CT, spine · sagittal plane, index 244 · 512x843 px
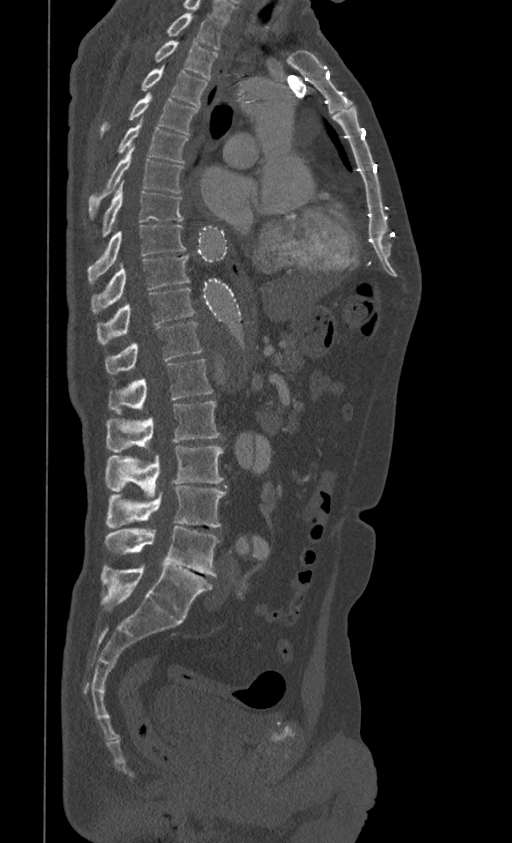 Box edges are left/top/right/bottom in pixels.
This scan's labels start at T1 at the top and end at L5 at the bottom.
Vertebra bounding boxes:
- T1: left=166, top=13, right=225, bottom=49
- T2: left=154, top=40, right=218, bottom=79
- T3: left=141, top=67, right=207, bottom=106
- T4: left=100, top=92, right=198, bottom=136
- T5: left=118, top=122, right=187, bottom=163
- T6: left=88, top=147, right=182, bottom=218
- T7: left=100, top=184, right=184, bottom=237
- T8: left=87, top=224, right=185, bottom=284
- T9: left=91, top=255, right=190, bottom=313
- T10: left=96, top=288, right=195, bottom=344
- T11: left=105, top=322, right=202, bottom=373
- T12: left=108, top=359, right=212, bottom=414
- L1: left=106, top=401, right=220, bottom=452
- L2: left=105, top=446, right=223, bottom=496
- L3: left=106, top=485, right=226, bottom=528
- L4: left=105, top=527, right=220, bottom=576
- L5: left=101, top=565, right=212, bottom=618